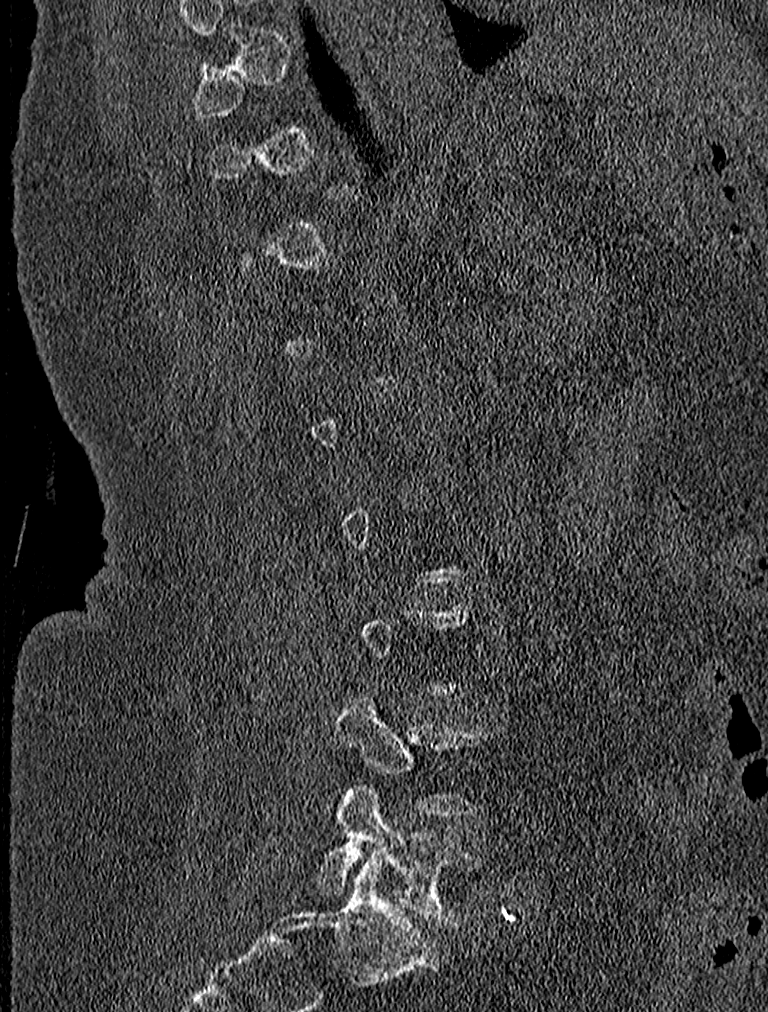 Spine computed tomography; sagittal view
Each vertebra maps to its box as [x1, y1, x2, y2], the pixel coordinates of its top-left and bottom-right corners.
A vertebra gets a box only on the slices from the first to the last where its cross-section is at least a third of its largest; on a slice outside that range it gets none.
{"vertebrae":{"L5":[317,787,485,925],"L4":[328,696,491,817]}}